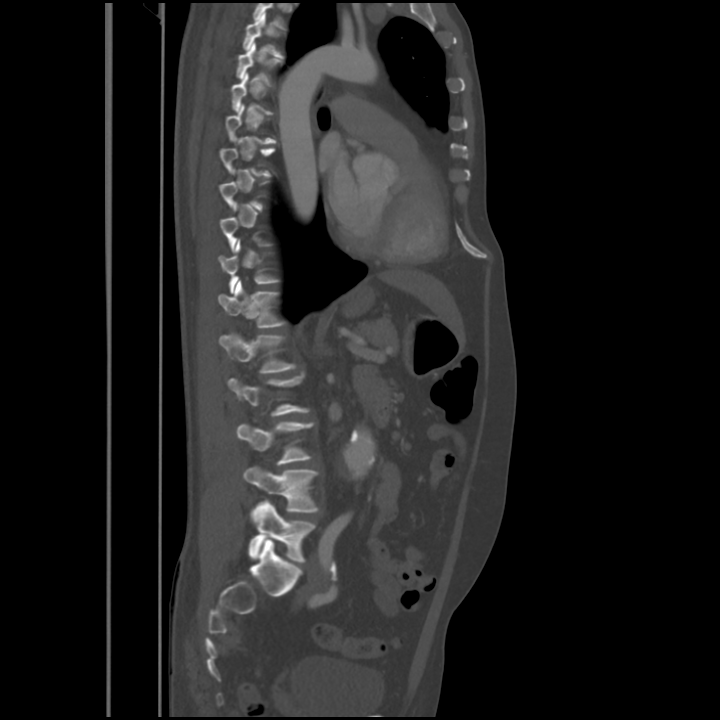
CT — sagittal view — bone window — 720x720 px — 563 mm image width
A vertebra is boxed only from the first to the last slice where its cross-section is at least a third of its largest; slices outside that range leave it without a box.
In this scan, the topmost labeled vertebra is T4 and the lowest is L5.
<vertebrae><v name="T4" x1="242" y1="13" x2="283" y2="57"/><v name="T5" x1="236" y1="42" x2="282" y2="84"/><v name="T11" x1="219" y1="239" x2="279" y2="293"/><v name="T12" x1="218" y1="280" x2="286" y2="328"/><v name="L1" x1="219" y1="334" x2="296" y2="373"/><v name="L3" x1="237" y1="422" x2="314" y2="465"/><v name="L4" x1="243" y1="466" x2="319" y2="512"/><v name="L5" x1="248" y1="500" x2="315" y2="562"/></vertebrae>